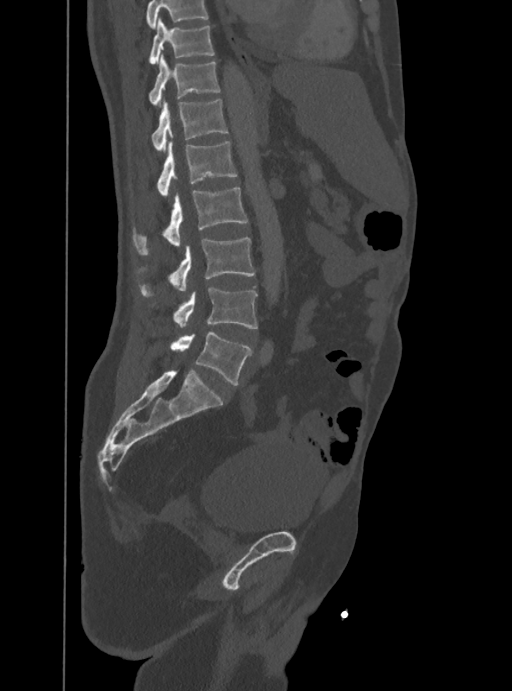
CT, spine; sagittal view; Bone window (WL 400, WW 1800); image width 388 mm; 512x691 px. Coordinates as <box>x1,y1,x2,y2</box>.
No box is given to a vertebra that the top edge of the scan cuts off.
T10: <box>149,18,214,63</box>
T11: <box>149,53,219,106</box>
T12: <box>152,99,227,152</box>
L1: <box>157,141,236,197</box>
L2: <box>133,188,247,254</box>
L3: <box>140,238,255,296</box>
L4: <box>174,287,257,329</box>
L5: <box>170,333,251,385</box>